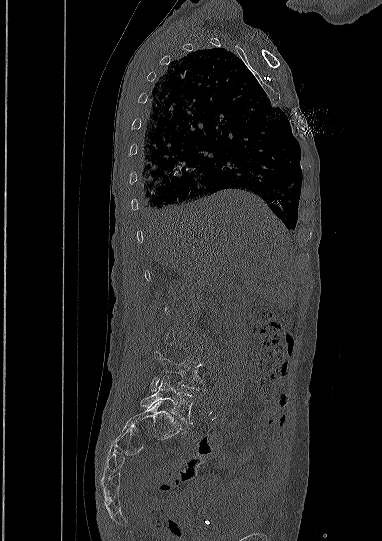 Spine computed tomography. sagittal view. 382x541 px
Boxes are (x1, y1, x2, y2) in pixels.
A vertebra is boxed only from the first to the last slice where its cross-section is at least a third of its largest; slices outside that range leave it without a box.
Vertebra bounding boxes:
- L4: (152, 351, 204, 390)
- L5: (141, 376, 194, 423)